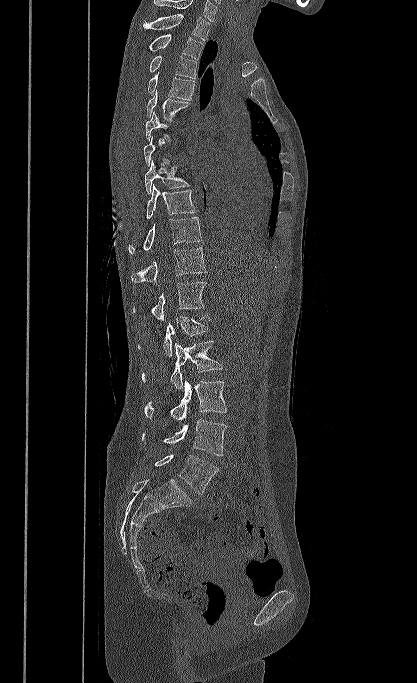

Spine computed tomography; sagittal view; 417 mm across the image
A vertebra is boxed only from the first to the last slice where its cross-section is at least a third of its largest; slices outside that range leave it without a box.
The highest labeled vertebra in this scan is T1; the lowest is L5.
<vertebrae><v name="T1" x1="142" y1="14" x2="210" y2="40"/><v name="T2" x1="148" y1="34" x2="205" y2="59"/><v name="T3" x1="149" y1="55" x2="197" y2="78"/><v name="T4" x1="147" y1="72" x2="194" y2="100"/><v name="T5" x1="146" y1="90" x2="190" y2="120"/><v name="T8" x1="145" y1="160" x2="190" y2="194"/><v name="T9" x1="146" y1="184" x2="197" y2="219"/><v name="T10" x1="128" y1="217" x2="201" y2="253"/><v name="T11" x1="131" y1="248" x2="206" y2="283"/><v name="T12" x1="133" y1="282" x2="206" y2="321"/><v name="L1" x1="138" y1="314" x2="210" y2="356"/><v name="L2" x1="142" y1="341" x2="222" y2="389"/><v name="L3" x1="144" y1="379" x2="226" y2="421"/><v name="L4" x1="142" y1="419" x2="227" y2="455"/><v name="L5" x1="154" y1="454" x2="218" y2="494"/></vertebrae>